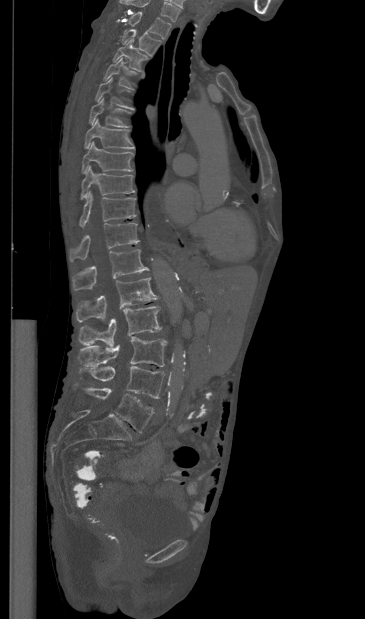
CT, spine — image width 365 mm — sagittal view
Boxes: x1 y1 x2 y2 (pixel coords, space-separated).
In this scan, the topmost labeled vertebra is T1 and the lowest is L5.
Vertebra bounding boxes:
- L5: 84 387 154 432
- L4: 80 366 164 398
- L3: 78 336 167 366
- L2: 78 306 161 346
- L1: 76 277 158 322
- T12: 72 249 148 290
- T11: 69 222 139 261
- T10: 79 191 136 227
- T9: 81 166 134 199
- T8: 82 141 133 173
- T7: 84 119 135 149
- T6: 89 97 128 127
- T5: 95 77 134 110
- T4: 104 58 136 88
- T3: 113 39 148 71
- T2: 121 29 161 55
- T1: 129 12 171 38